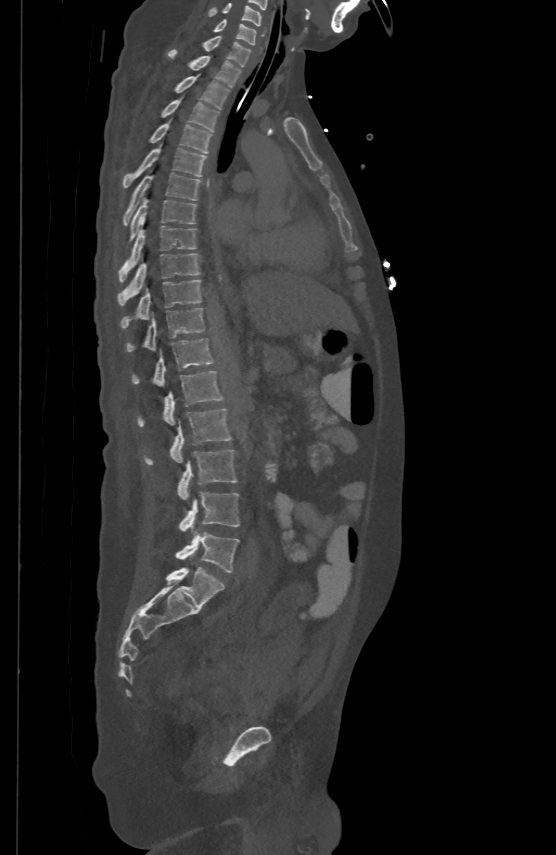 Spine computed tomography — sagittal view — 500 mm image width — W/L 1800/400 HU
Boxes are given in columns x1, y1, x2, y2, the pixel coordinates of their top-left and bottom-right corners.
| vertebra | x1 | y1 | x2 | y2 |
|---|---|---|---|---|
| L5 | 176 | 532 | 239 | 572 |
| L4 | 179 | 492 | 239 | 531 |
| L3 | 178 | 450 | 237 | 499 |
| L2 | 143 | 407 | 231 | 465 |
| L1 | 138 | 370 | 223 | 425 |
| T12 | 131 | 337 | 213 | 385 |
| T11 | 127 | 307 | 204 | 351 |
| T10 | 120 | 279 | 201 | 328 |
| T9 | 118 | 252 | 199 | 304 |
| T8 | 119 | 225 | 196 | 281 |
| T7 | 128 | 197 | 196 | 242 |
| T6 | 124 | 170 | 200 | 224 |
| T5 | 124 | 143 | 205 | 186 |
| T4 | 150 | 119 | 212 | 152 |
| T3 | 161 | 95 | 218 | 131 |
| T2 | 176 | 74 | 229 | 108 |
| T1 | 168 | 49 | 240 | 86 |
| C7 | 203 | 35 | 250 | 65 |
| C6 | 214 | 19 | 256 | 43 |
| C5 | 208 | 2 | 262 | 24 |